CT, spine; sagittal view; Bone window (WL 400, WW 1800)
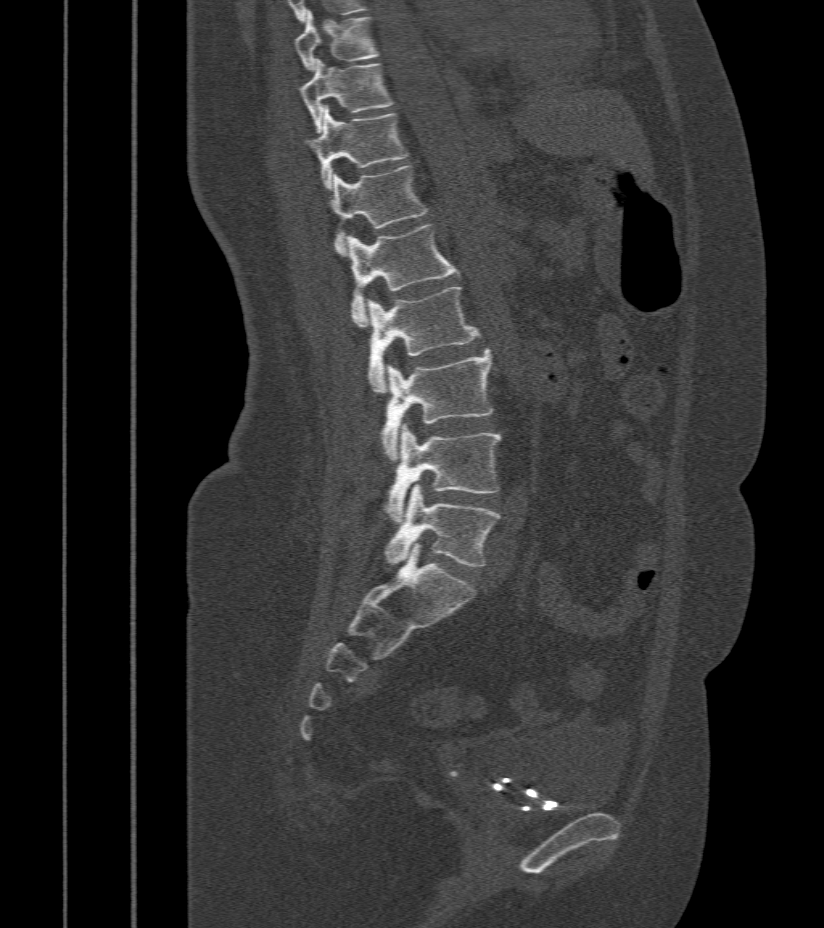 Boxes below are [x1, y1, x2, y2] in pixels.
{"vertebrae":{"T9":[295,11,379,72],"T10":[299,59,393,132],"T11":[306,107,409,189],"T12":[330,165,429,256],"L1":[346,225,459,326],"L2":[369,287,480,392],"L3":[381,349,493,462],"L4":[386,423,501,522],"L5":[383,485,500,566]}}